Spine computed tomography · 446 mm image width · sagittal reformat · 17 vertebrae labeled in this scan
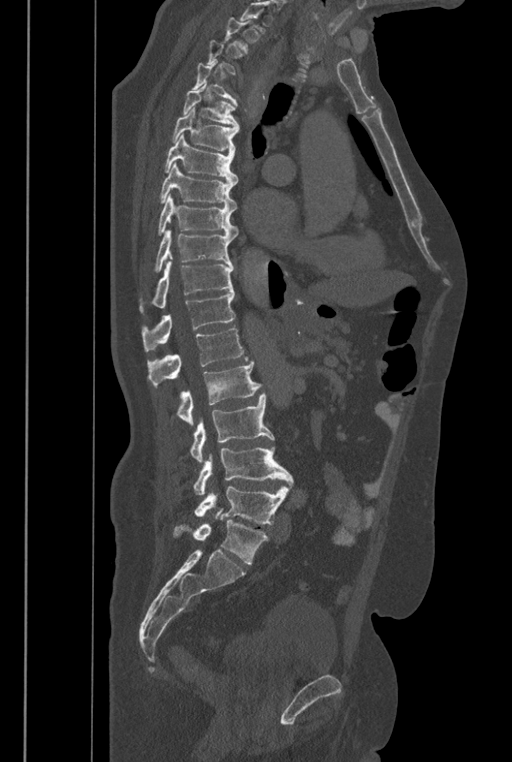
Box edges are left/top/right/bottom in pixels.
A vertebra is boxed only from the first to the last slice where its cross-section is at least a third of its largest; slices outside that range leave it without a box.
In these labels the spine has an L6, a sixth lumbar vertebra below L5.
| vertebra | x1 | y1 | x2 | y2 |
|---|---|---|---|---|
| T4 | 192 | 61 | 237 | 105 |
| T5 | 183 | 83 | 239 | 129 |
| T6 | 172 | 107 | 239 | 153 |
| T7 | 164 | 134 | 238 | 182 |
| T8 | 159 | 163 | 237 | 210 |
| T9 | 158 | 193 | 237 | 238 |
| T10 | 155 | 229 | 233 | 272 |
| T11 | 140 | 261 | 234 | 311 |
| T12 | 142 | 291 | 234 | 351 |
| L1 | 147 | 328 | 248 | 386 |
| L2 | 177 | 361 | 261 | 425 |
| L3 | 189 | 394 | 274 | 462 |
| L4 | 193 | 445 | 293 | 495 |
| L5 | 194 | 486 | 289 | 524 |
| L6 | 173 | 508 | 268 | 564 |